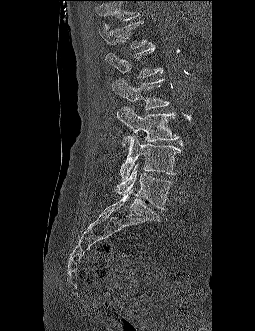 Computed tomography of the spine. sagittal reformat. Bone window (WL 400, WW 1800)
Each box is [x1, y1, x2, y2] in pixels: top-left corner, then bottom-right corner.
Vertebrae that run past the top of the scan are left unlabeled.
{"vertebrae":{"T12":[98,21,147,48],"L1":[106,44,162,77],"L2":[112,78,169,109],"L3":[117,107,178,146],"L4":[120,135,181,180],"L5":[115,163,171,209]}}